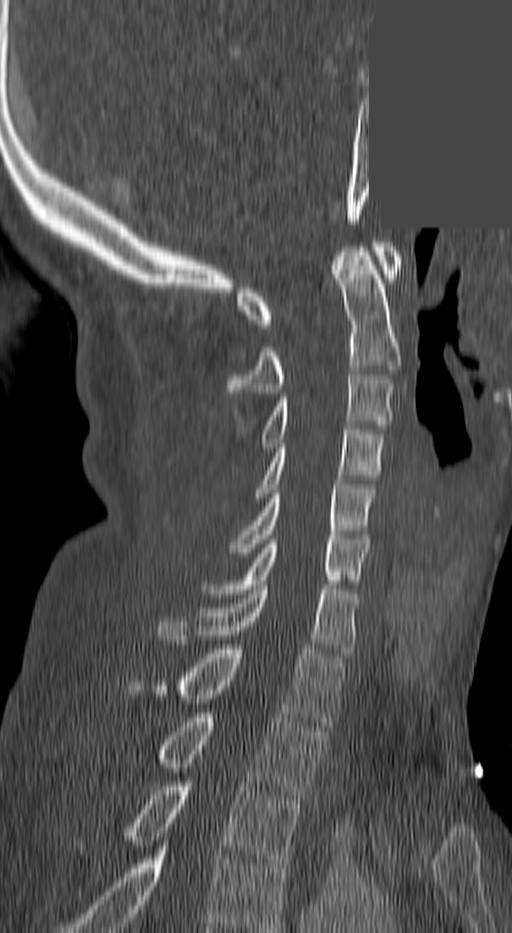

Spine computed tomography. sagittal reformat. a portion of the image is blanked out (constant pixel value)
Columns x1, y1, x2, y2 give each box's top-left and bottom-right pixels.
The highest labeled vertebra in this scan is C1; the lowest is T3.
| vertebra | x1 | y1 | x2 | y2 |
|---|---|---|---|---|
| C1 | 239 | 242 | 399 | 328 |
| C2 | 228 | 247 | 399 | 397 |
| C3 | 261 | 370 | 392 | 447 |
| C4 | 256 | 425 | 384 | 502 |
| C5 | 232 | 480 | 373 | 557 |
| C6 | 210 | 539 | 366 | 593 |
| C7 | 159 | 585 | 355 | 653 |
| T1 | 129 | 649 | 344 | 726 |
| T2 | 159 | 713 | 323 | 799 |
| T3 | 126 | 782 | 300 | 868 |